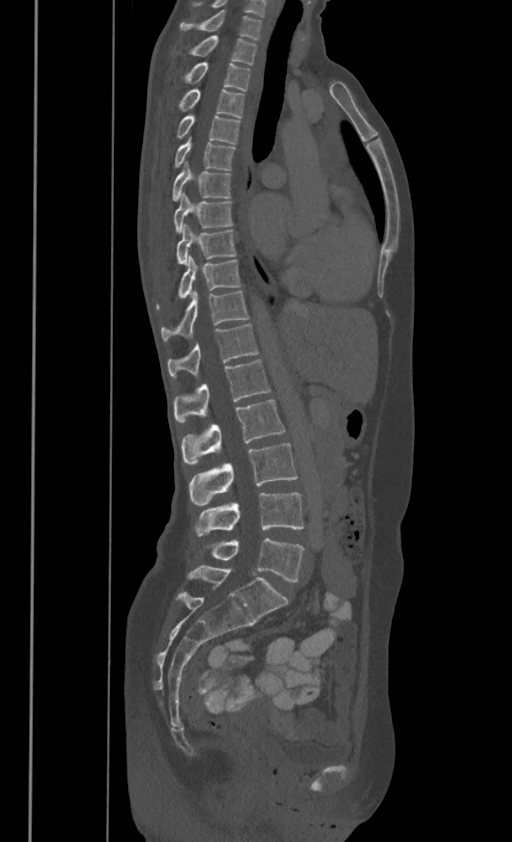

Computed tomography of the spine. sagittal view

Boxes below are [x1, y1, x2, y2] in pixels.
In these labels the thoracic vertebrae end at T11, so L1 follows T11.
{"vertebrae":{"L5":[207,538,304,582],"L4":[195,493,303,536],"L3":[190,443,297,505],"L2":[182,399,284,465],"L1":[174,359,269,423],"T11":[167,324,257,375],"T10":[160,290,248,339],"T9":[156,254,240,308],"T8":[176,223,236,263],"T7":[174,192,232,231],"T6":[172,161,231,198],"T5":[174,136,235,169],"T4":[176,113,240,143],"T3":[179,87,244,117],"T2":[183,61,250,90],"T1":[190,35,256,63],"C7":[180,8,260,38]}}